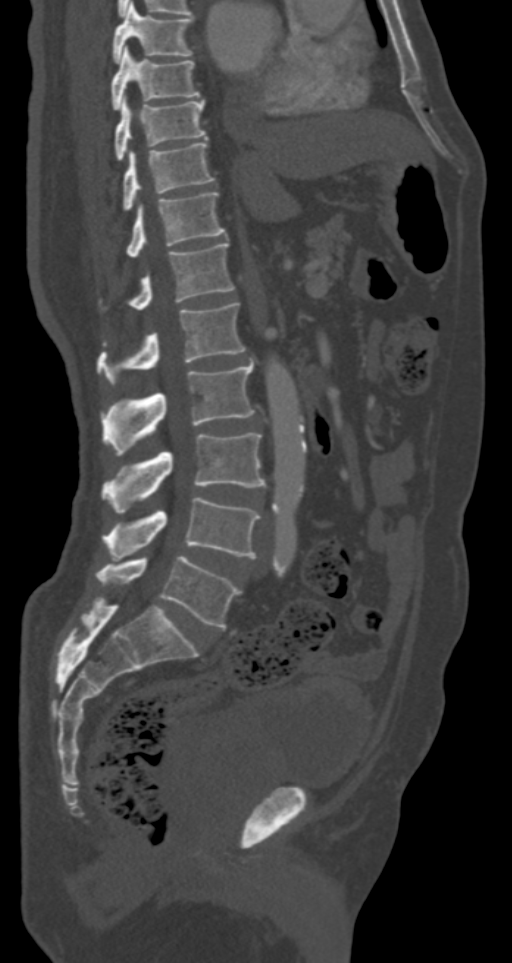 Computed tomography of the spine · sagittal view
Boxes below are [x1, y1, x2, y2] in pixels.
{"vertebrae":{"T7":[112,4,193,63],"T8":[110,46,200,109],"T9":[114,96,207,161],"T10":[123,142,214,211],"T11":[126,192,225,257],"T12":[100,242,234,311],"L1":[96,303,245,386],"L2":[101,363,254,455],"L3":[101,433,264,512],"L4":[103,497,261,558],"L5":[96,556,241,628]}}